CT spine; sagittal reformat; 512x963 px
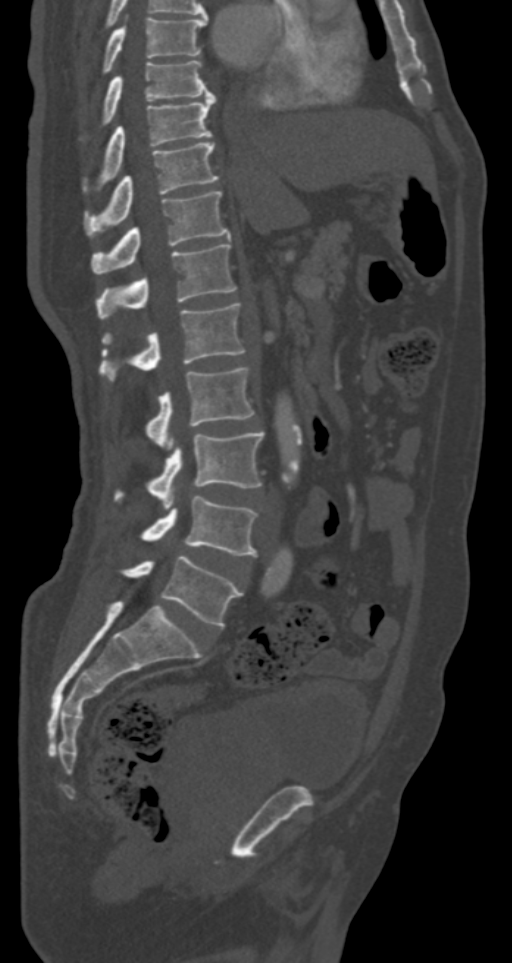

Columns x1, y1, x2, y2 give each box's top-left and bottom-right pixels.
| vertebra | x1 | y1 | x2 | y2 |
|---|---|---|---|---|
| T7 | 103 | 17 | 206 | 71 |
| T8 | 103 | 60 | 214 | 124 |
| T9 | 101 | 94 | 214 | 184 |
| T10 | 85 | 142 | 218 | 234 |
| T11 | 91 | 191 | 231 | 274 |
| T12 | 96 | 242 | 236 | 317 |
| L1 | 98 | 303 | 245 | 382 |
| L2 | 144 | 367 | 254 | 445 |
| L3 | 114 | 431 | 264 | 507 |
| L4 | 141 | 496 | 257 | 555 |
| L5 | 119 | 556 | 243 | 627 |